CT. sagittal reformat. 250x325 px
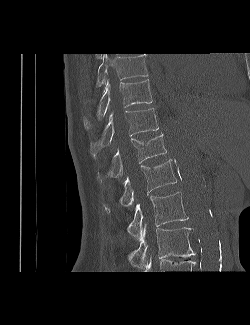 Boxes are (x1, y1, x2, y2) in pixels.
In this scan, the topmost labeled vertebra is T9 and the lowest is L3.
L3: (128, 224, 196, 268)
L2: (127, 192, 188, 240)
L1: (103, 159, 177, 211)
T12: (97, 132, 166, 182)
T11: (90, 108, 158, 158)
T10: (83, 79, 152, 128)
T9: (96, 54, 148, 86)